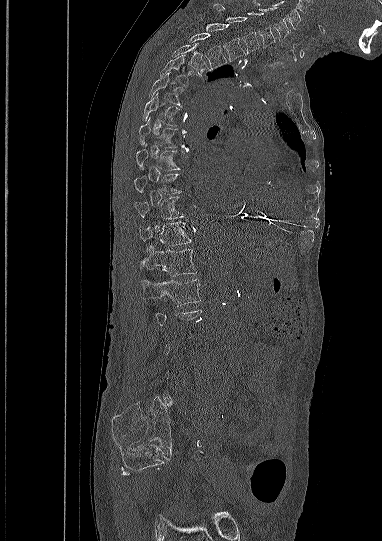 Spine computed tomography — sagittal view — bone window — 382 mm image width. Each box given as x1,y1,x2,y2.
Not every vertebra on this slice has a box: a vertebra is boxed only from the first to the last slice where its cross-section is at least a third of its largest, and this slice is outside that range for at least one of them.
Vertebra bounding boxes:
- L1: x1=141, y1=279, x2=200, y2=306
- T12: x1=141, y1=243, x2=197, y2=276
- T11: x1=139, y1=222, x2=191, y2=249
- T10: x1=134, y1=196, x2=183, y2=219
- T9: x1=134, y1=168, x2=180, y2=195
- T8: x1=136, y1=144, x2=179, y2=170
- T7: x1=139, y1=118, x2=178, y2=147
- T6: x1=142, y1=92, x2=179, y2=125
- T5: x1=148, y1=72, x2=187, y2=107
- T4: x1=160, y1=55, x2=194, y2=86
- T3: x1=170, y1=44, x2=209, y2=75
- T2: x1=189, y1=33, x2=226, y2=69
- T1: x1=206, y1=23, x2=245, y2=62
- C7: x1=213, y1=3, x2=259, y2=54
- C6: x1=247, y1=12, x2=275, y2=47
- C5: x1=253, y1=0, x2=290, y2=40